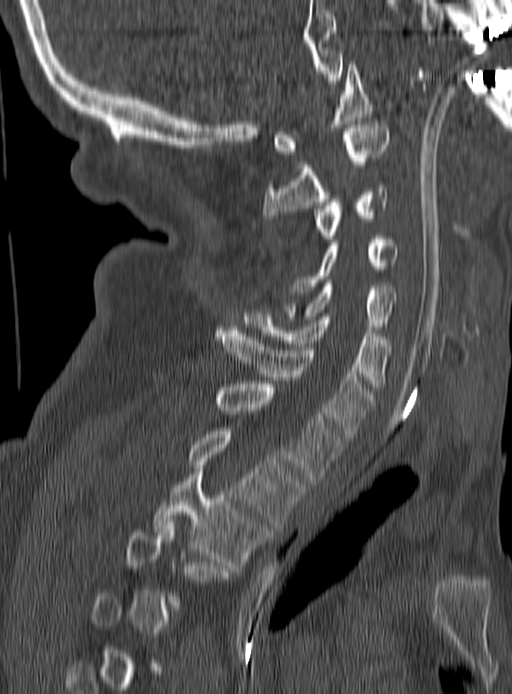

CT spine · sagittal view · W/L 1800/400 HU · 512x694 px
Boxes are (x1, y1, x2, y2) in pixels.
Not every vertebra on this slice has a box: a vertebra is boxed only from the first to the last slice where its cross-section is at least a third of its largest, and this slice is outside that range for at least one of them.
T3: (154, 472, 267, 565)
T2: (189, 431, 304, 528)
T1: (216, 384, 342, 484)
C7: (216, 330, 374, 437)
C6: (243, 310, 391, 390)
C5: (287, 283, 396, 329)
C4: (289, 232, 397, 299)
C3: (313, 185, 388, 242)
C2: (262, 121, 388, 221)
C1: (273, 64, 372, 154)